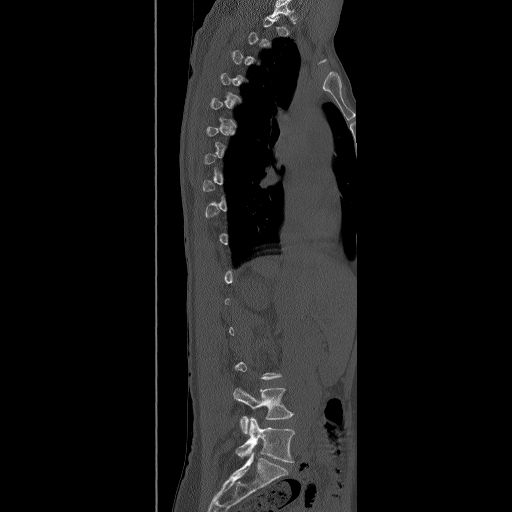
CT, spine — sagittal view
Box edges are left/top/right/bottom in pixels.
Each vertebra is boxed only on the slices from the first to the last where its cross-section reaches a third of its largest, so a slice outside that range leaves it unboxed.
L4: left=233, top=387, right=293, bottom=433
L5: left=235, top=418, right=294, bottom=462